Spine CT; Sagittal slice 29/74; Bone window (WL 400, WW 1800); 5 vertebrae labeled in this scan
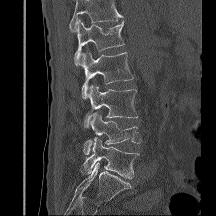 Boxes are (x1, y1, x2, y2) in pixels.
Vertebrae that run past the top of the scan are left unlabeled.
L1: (74, 20, 124, 65)
L2: (78, 52, 133, 98)
L3: (84, 85, 137, 127)
L4: (83, 112, 141, 154)
L5: (81, 137, 139, 178)